Computed tomography of the spine. sagittal view. a region of this slice is masked with a uniform fill
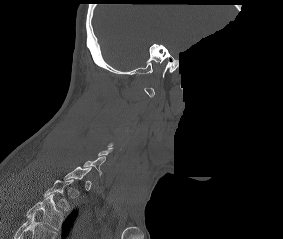
Columns x1, y1, x2, y2 give each box's top-left and bottom-right pixels.
A vertebra is boxed only from the first to the last slice where its cross-section is at least a third of its largest; slices outside that range leave it without a box.
This scan's labels start at C1 at the top and end at T2 at the bottom.
| vertebra | x1 | y1 | x2 | y2 |
|---|---|---|---|---|
| C7 | 83 | 156 | 105 | 175 |
| T2 | 44 | 179 | 73 | 209 |